CT — sagittal view — bone window — 556x855 px — 500 mm wide — scan covers 20 annotated vertebrae
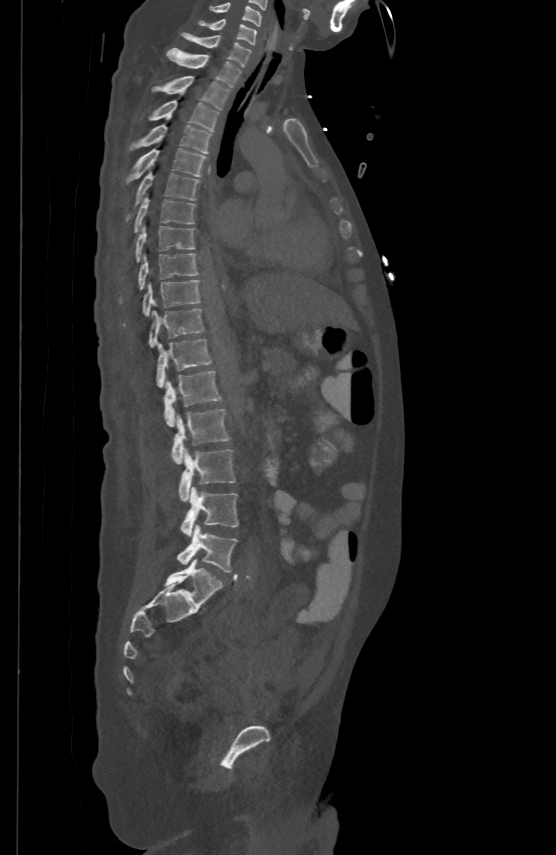 Each box given as x1,y1,x2,y2. The labeled vertebrae in this slice are: L5 at x1=177, y1=525, x2=237, y2=572, L4 at x1=180, y1=487, x2=238, y2=535, L3 at x1=179, y1=448, x2=234, y2=501, L2 at x1=171, y1=407, x2=229, y2=463, L1 at x1=165, y1=370, x2=221, y2=425, T12 at x1=155, y1=337, x2=212, y2=385, T11 at x1=149, y1=307, x2=203, y2=346, T10 at x1=123, y1=279, x2=200, y2=325, T9 at x1=119, y1=252, x2=198, y2=301, T8 at x1=136, y1=224, x2=194, y2=261, T7 at x1=135, y1=196, x2=194, y2=231, T6 at x1=126, y1=169, x2=199, y2=220, T5 at x1=126, y1=147, x2=205, y2=182, T4 at x1=130, y1=123, x2=212, y2=152, T3 at x1=150, y1=100, x2=219, y2=131, T2 at x1=152, y1=75, x2=229, y2=109, T1 at x1=167, y1=47, x2=241, y2=86, C7 at x1=182, y1=32, x2=251, y2=65, C6 at x1=199, y1=17, x2=257, y2=43, C5 at x1=211, y1=2, x2=262, y2=25.